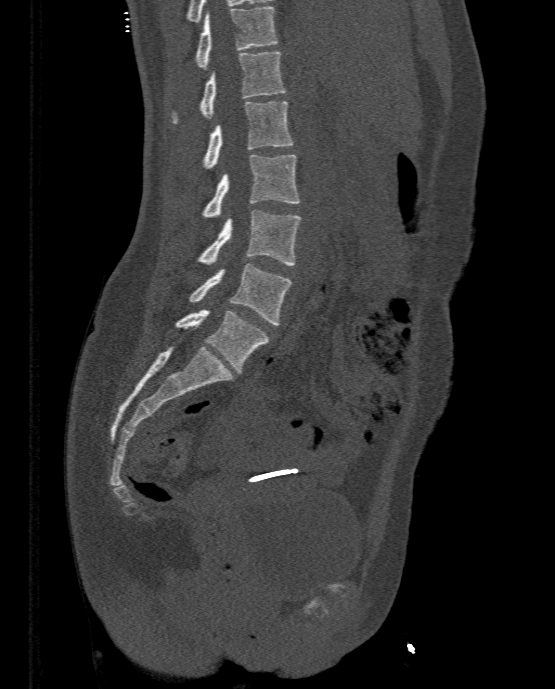

Spine computed tomography — sagittal reformat

Boxes: x1 y1 x2 y2 (pixel coords, space-separated).
Vertebra bounding boxes:
- L5: 175 309 269 373
- L4: 190 263 292 325
- L3: 196 210 300 265
- L2: 202 154 300 217
- L1: 202 101 294 168
- T12: 171 51 285 123
- T11: 195 6 278 69